CT; sagittal view; bone window; 512x732 px; image width 367 mm
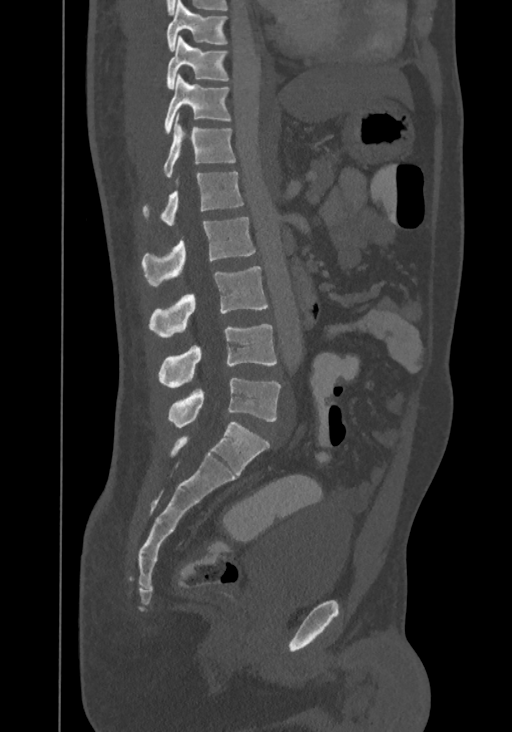 Labels in this scan begin with T8 at the top and end with L4 at the bottom.
<vertebrae><v name="T8" x1="167" y1="0" x2="226" y2="50"/><v name="T9" x1="166" y1="36" x2="228" y2="89"/><v name="T10" x1="164" y1="75" x2="230" y2="132"/><v name="T11" x1="163" y1="114" x2="235" y2="177"/><v name="T12" x1="142" y1="171" x2="243" y2="225"/><v name="L1" x1="141" y1="217" x2="255" y2="287"/><v name="L2" x1="149" y1="266" x2="268" y2="338"/><v name="L3" x1="159" y1="324" x2="276" y2="388"/><v name="L4" x1="169" y1="378" x2="281" y2="427"/></vertebrae>